Spine computed tomography. sagittal plane, index 66. bone-window reconstruction. 183x363 px. 7 vertebrae labeled in this scan
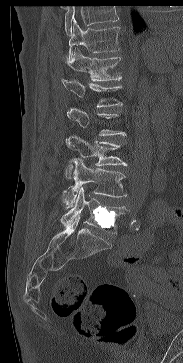

Each box is [x1, y1, x2, y2] in pixels: top-left corner, then bottom-right corner.
A vertebra gets a box only on the slices from the first to the last where its cross-section is at least a third of its largest; on a slice outside that range it gets none.
No box is given to a vertebra that the top edge of the scan cuts off.
{"vertebrae":{"L5":[60,188,127,233],"L4":[63,158,127,208],"L3":[65,135,127,179],"L1":[61,77,122,107],"T12":[61,47,121,81],"T11":[69,19,120,57]}}